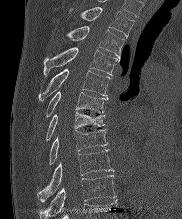 CT, spine; sagittal view; Bone window (WL 400, WW 1800)

Each box is [x1, y1, x2, y2] in pixels: top-left corner, then bottom-right corner.
{"vertebrae":{"T2":[80,7,134,37],"T3":[67,26,124,57],"T4":[43,47,119,76],"T5":[38,69,110,102],"T6":[44,91,107,117],"T7":[45,112,104,141],"T8":[48,130,107,165],"T9":[37,149,114,201],"T10":[40,175,115,218]}}